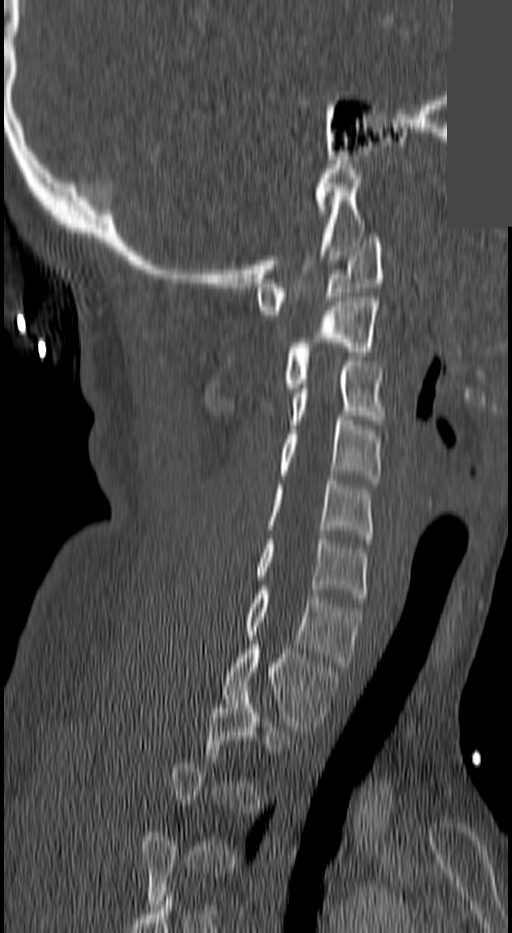
CT spine; sagittal view; bone-window reconstruction; the image spans 140 mm across; an area of the scan was removed and filled with constant pixels
Bounding boxes as [x1, y1, x2, y2] in pixel coordinates.
Not every vertebra on this slice has a box: a vertebra is boxed only from the first to the last slice where its cross-section is at least a third of its largest, and this slice is outside that range for at least one of them.
C1: [257, 238, 384, 314]
C2: [283, 302, 377, 392]
C3: [288, 361, 381, 429]
C4: [279, 416, 381, 484]
C5: [268, 475, 373, 538]
C6: [257, 539, 366, 602]
C7: [246, 590, 362, 666]
T1: [224, 640, 337, 735]